CT — sagittal plane, index 99
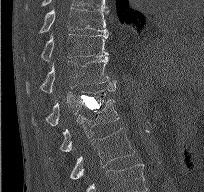
This scan's labels start at T9 at the top and end at L2 at the bottom.
<vertebrae><v name="L2" x1="69" y1="128" x2="134" y2="179"/><v name="L1" x1="60" y1="99" x2="118" y2="151"/><v name="T12" x1="32" y1="87" x2="115" y2="127"/><v name="T11" x1="26" y1="57" x2="116" y2="93"/><v name="T10" x1="24" y1="33" x2="108" y2="61"/><v name="T9" x1="39" y1="7" x2="107" y2="32"/></vertebrae>